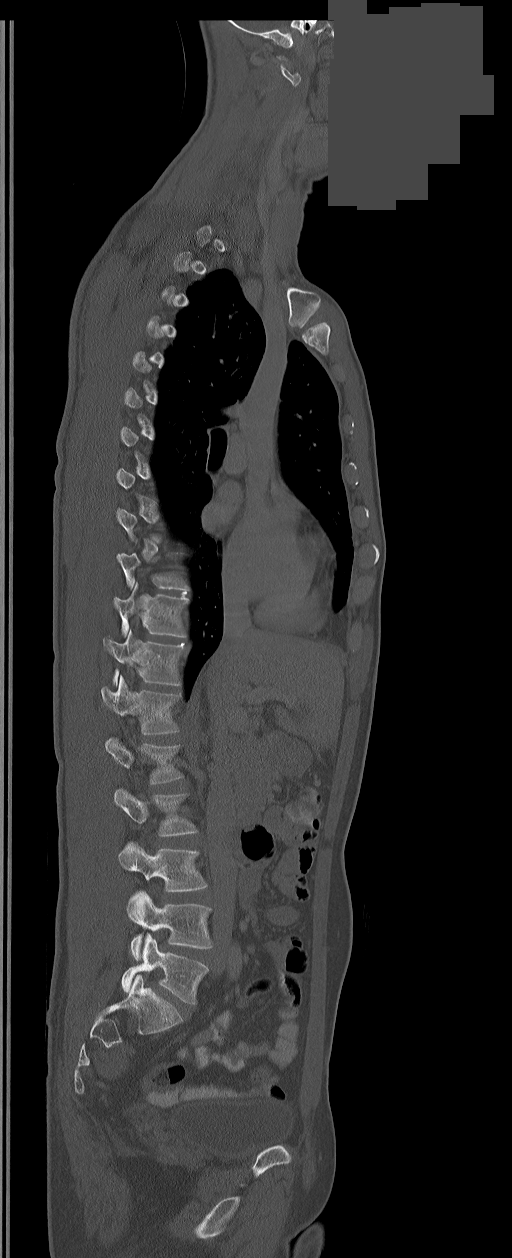

Spine CT; sagittal view; part of the image has been replaced by a constant value. Each row gives a vertebra's box as x1, y1, x2, y2 in pixels: top-left corner, then bottom-right corner.
Each vertebra is boxed only on the slices from the first to the last where its cross-section reaches a third of its largest, so a slice outside that range leaves it unboxed.
These labels give the spine a sixth lumbar vertebra, L6, below L5.
| vertebra | x1 | y1 | x2 | y2 |
|---|---|---|---|---|
| T11 | 113 | 582 | 188 | 637 |
| T12 | 103 | 631 | 185 | 685 |
| L1 | 101 | 676 | 179 | 735 |
| L2 | 106 | 737 | 182 | 783 |
| L3 | 114 | 789 | 197 | 836 |
| L4 | 119 | 841 | 207 | 892 |
| L5 | 126 | 891 | 211 | 960 |
| L6 | 122 | 933 | 208 | 1004 |